Computed tomography of the spine; Sagittal slice 95/207; Bone window (WL 400, WW 1800); 207x253 px
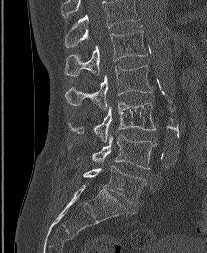

Bounding boxes as [x1, y1, x2, y2] in pixel coordinates.
This scan's labels start at L1 at the top and end at L5 at the bottom.
Vertebra bounding boxes:
- L5: [83, 166, 146, 204]
- L4: [69, 133, 156, 169]
- L3: [68, 102, 155, 142]
- L2: [65, 65, 151, 109]
- L1: [65, 26, 147, 75]